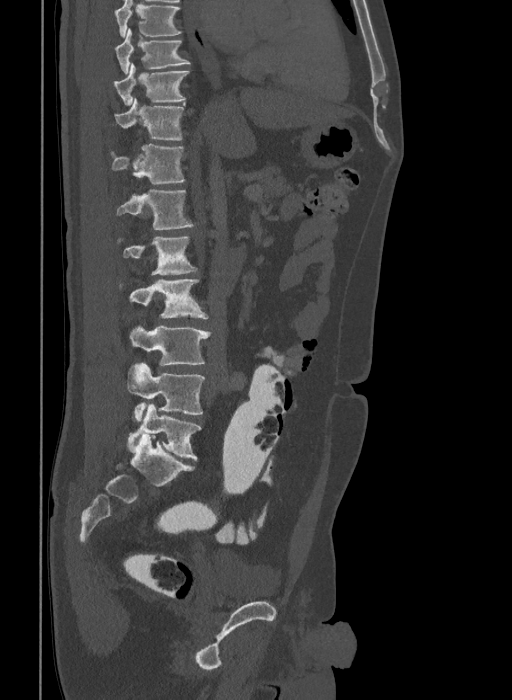
CT spine — 409 mm image width — sagittal view — W/L 1800/400 HU

Boxes: x1:y1:x2:y2 in pixels.
This scan's labels start at T9 at the top and end at L6 at the bottom.
In these labels the spine has an L6, a sixth lumbar vertebra below L5.
L6: 128:403:202:460
L5: 126:363:204:420
L4: 129:326:211:365
L3: 128:279:208:319
L2: 118:237:197:274
L1: 116:189:194:229
T12: 111:144:184:183
T11: 114:98:184:139
T10: 114:63:189:105
T9: 115:28:190:73